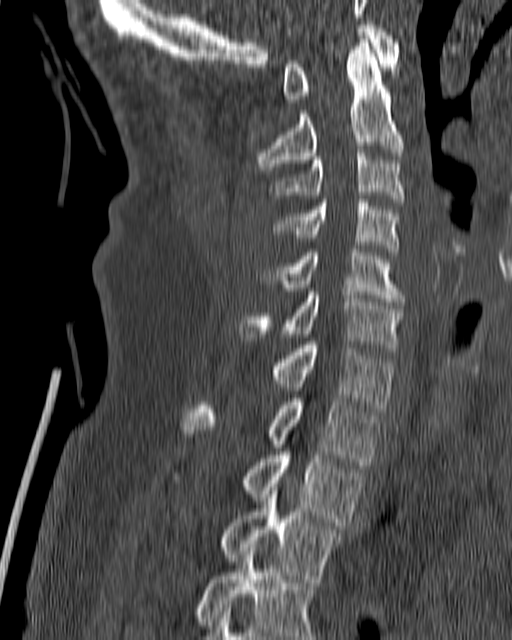

Spine computed tomography; sagittal view; bone-window reconstruction; the image spans 180 mm across
<vertebrae><v name="C1" x1="282" y1="25" x2="400" y2="102"/><v name="C2" x1="257" y1="36" x2="404" y2="173"/><v name="C3" x1="269" y1="149" x2="405" y2="205"/><v name="C4" x1="274" y1="199" x2="398" y2="251"/><v name="C5" x1="263" y1="249" x2="404" y2="305"/><v name="C6" x1="239" y1="288" x2="404" y2="347"/><v name="C7" x1="271" y1="341" x2="395" y2="411"/><v name="T1" x1="183" y1="398" x2="378" y2="465"/><v name="T2" x1="173" y1="452" x2="364" y2="525"/><v name="T3" x1="220" y1="484" x2="341" y2="579"/><v name="T4" x1="195" y1="544" x2="316" y2="639"/></vertebrae>